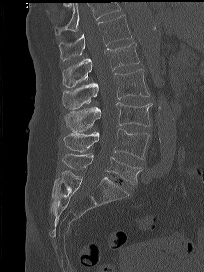 CT. sagittal view. 204 mm wide. bone window. 204x272 px
Boxes: x1 y1 x2 y2 (pixel coords, space-separated).
Where the top of the scan cuts through a vertebra, that vertebra gets no label or box.
T12: 59 14 132 61
L1: 62 42 139 87
L2: 62 69 149 109
L3: 65 102 152 131
L4: 63 128 149 159
L5: 62 154 141 185